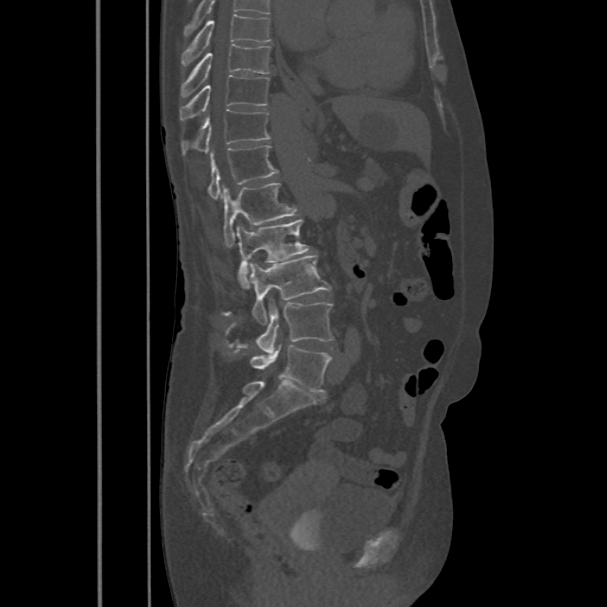

CT — sagittal reformat — bone-window reconstruction — the image is 486 mm wide — 607x607 px
Box edges are left/top/right/bottom in pixels.
Labels in this scan begin with T8 at the top and end with L5 at the bottom.
Vertebra bounding boxes:
- T8: left=181, top=13, right=271, bottom=65
- T9: left=181, top=43, right=271, bottom=97
- T10: left=180, top=75, right=269, bottom=120
- T11: left=181, top=110, right=271, bottom=154
- T12: left=208, top=145, right=278, bottom=200
- L1: left=223, top=182, right=298, bottom=246
- L2: left=235, top=218, right=311, bottom=286
- L3: left=248, top=255, right=330, bottom=324
- L4: left=256, top=297, right=332, bottom=354
- L5: left=250, top=345, right=331, bottom=392